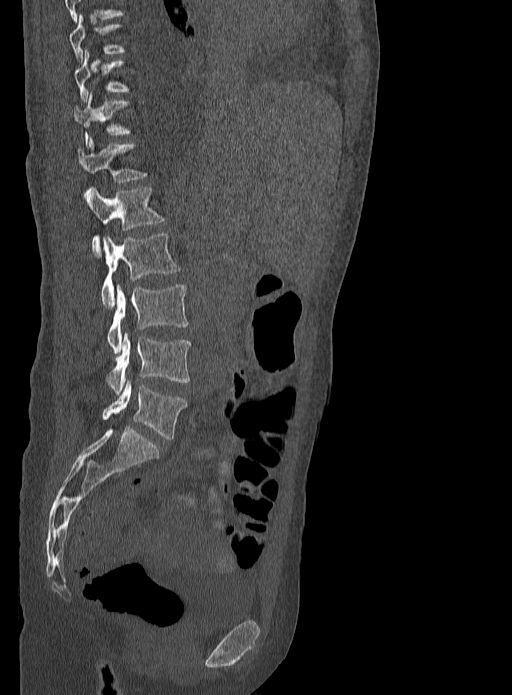
CT, spine — sagittal view — 512x695 px — 333 mm wide

Not every vertebra on this slice has a box: a vertebra is boxed only from the first to the last slice where its cross-section is at least a third of its largest, and this slice is outside that range for at least one of them.
<vertebrae><v name="L5" x1="101" y1="380" x2="186" y2="439"/><v name="L4" x1="106" y1="332" x2="191" y2="396"/><v name="L3" x1="107" y1="284" x2="188" y2="353"/><v name="L2" x1="101" y1="234" x2="180" y2="308"/><v name="L1" x1="86" y1="188" x2="163" y2="253"/><v name="T12" x1="77" y1="138" x2="145" y2="182"/><v name="T11" x1="74" y1="94" x2="128" y2="145"/></vertebrae>